CT spine. Sagittal slice 231/512. 512x824 px. 17 vertebrae labeled in this scan
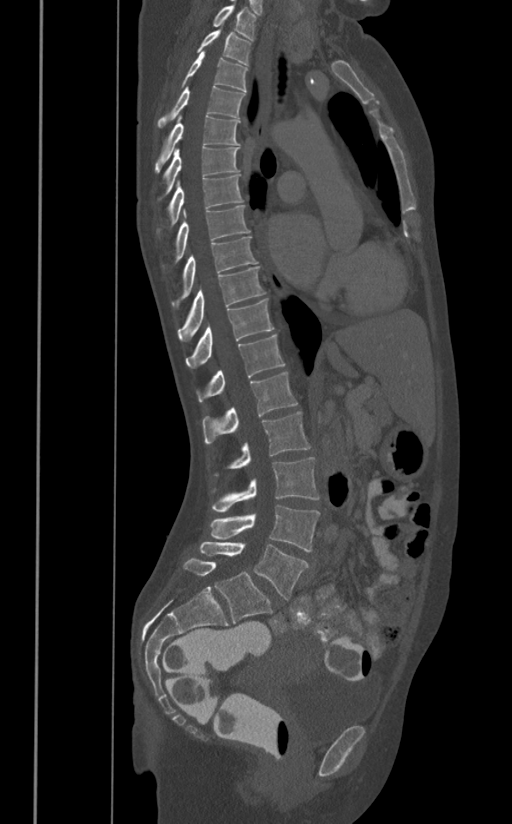

Boxes are (x1, y1, x2, y2) in pixels.
Vertebra bounding boxes:
- L5: (200, 542, 309, 599)
- L4: (211, 504, 320, 552)
- L3: (212, 457, 320, 512)
- L2: (213, 411, 310, 476)
- L1: (203, 372, 297, 443)
- T12: (196, 334, 284, 401)
- T11: (186, 298, 274, 368)
- T10: (177, 266, 265, 341)
- T9: (171, 236, 258, 309)
- T8: (174, 204, 250, 262)
- T7: (169, 174, 242, 224)
- T6: (162, 146, 240, 193)
- T5: (154, 115, 239, 173)
- T4: (157, 85, 245, 126)
- T3: (182, 53, 248, 92)
- T2: (197, 29, 250, 65)
- T1: (213, 1, 256, 40)